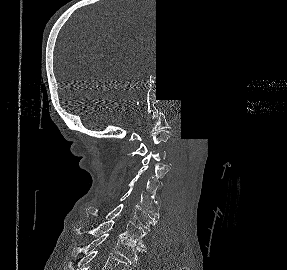
CT, spine. sagittal view. bone window. image width 287 mm. part of the scan has been removed (filled with constant black)

Box edges are left/top/right/bottom in pixels.
C1: left=129, top=112, right=170, bottom=140
C2: left=127, top=130, right=170, bottom=155
C3: left=141, top=151, right=169, bottom=165
C4: left=137, top=163, right=170, bottom=185
C5: left=129, top=175, right=160, bottom=204
C6: left=120, top=187, right=159, bottom=218
C7: left=85, top=203, right=157, bottom=230
T1: left=75, top=220, right=146, bottom=249
T2: left=76, top=233, right=145, bottom=263